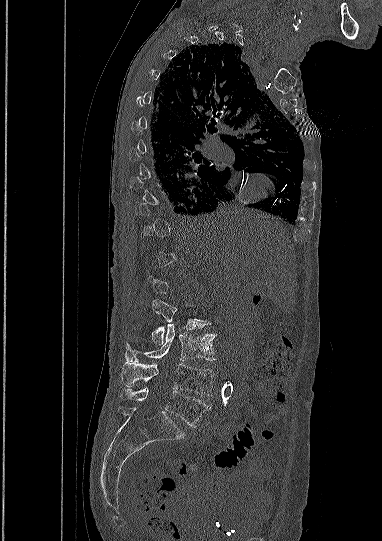 CT spine · sagittal view · bone-window reconstruction. Coordinates as <box>x1,y1,x2,y2</box>.
Each vertebra is boxed only on the slices from the first to the last where its cross-section reaches a third of its largest, so a slice outside that range leaves it unboxed.
Vertebra bounding boxes:
- L2: <box>152,299,205,345</box>
- L3: <box>125,323,214,362</box>
- L4: <box>121,362,214,396</box>
- L5: <box>119,387,211,426</box>